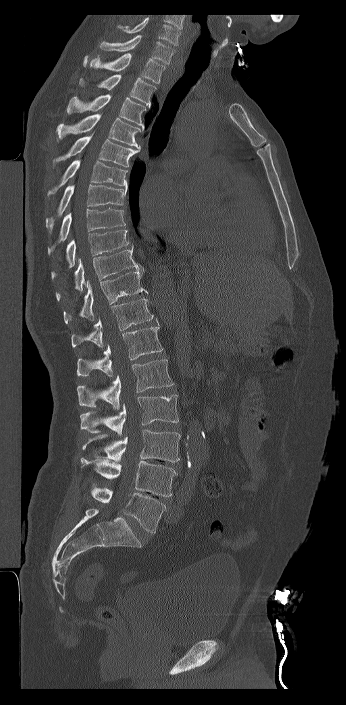 Computed tomography of the spine · sagittal view · 346x705 px · 346 mm across the image

Each box is [x1, y1, x2, y2] in pixels: top-left corner, then bottom-right corner.
In this scan, the topmost labeled vertebra is C7 and the lowest is L6.
In these labels the spine has an L6, a sixth lumbar vertebra below L5.
{"vertebrae":{"C7":[100,35,173,64],"T1":[83,53,165,83],"T2":[79,74,156,107],"T3":[67,94,146,131],"T4":[56,114,140,149],"T5":[53,131,139,167],"T6":[47,159,127,195],"T7":[46,184,127,233],"T8":[47,207,125,254],"T9":[51,230,130,280],"T10":[56,246,143,300],"T11":[63,271,148,323],"T12":[71,298,158,347],"L1":[77,323,163,376],"L2":[77,359,173,410],"L3":[80,394,179,436],"L4":[82,429,180,462],"L5":[81,457,177,496],"L6":[91,486,166,533]}}